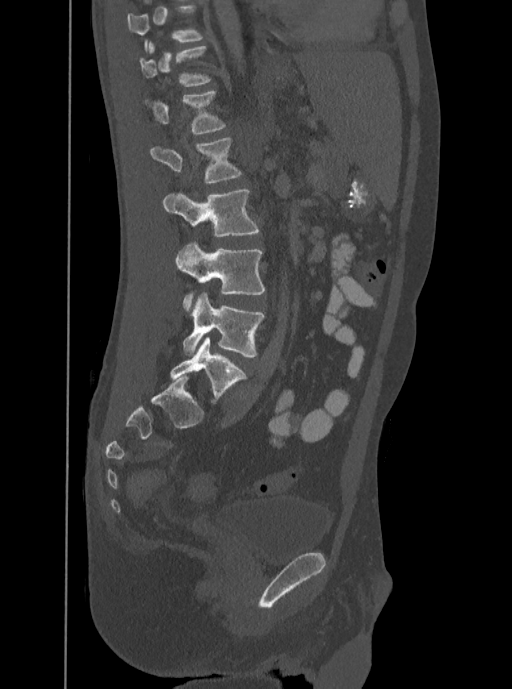

Spine computed tomography; sagittal view; 512x689 px
In the table, x1 and y1 are a box's top-left corner and x2 and y2 its bottom-right corner, in pixels.
Labels in this scan begin with T12 at the top and end with L5 at the bottom.
| vertebra | x1 | y1 | x2 | y2 |
|---|---|---|---|---|
| T12 | 139 | 41 | 211 | 86 |
| L1 | 145 | 91 | 226 | 133 |
| L2 | 150 | 137 | 242 | 183 |
| L3 | 162 | 188 | 259 | 237 |
| L4 | 175 | 241 | 265 | 311 |
| L5 | 183 | 292 | 264 | 357 |